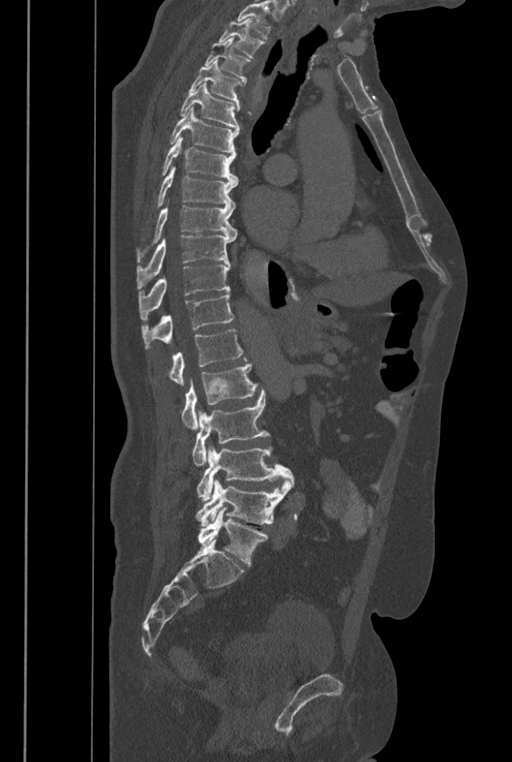 CT; sagittal view; bone-window reconstruction; 512x762 px
Boxes below are [x1, y1, x2, y2] in pixels.
A vertebra cut off by the top edge of the scan is not labeled and has no box.
In these labels the spine has an L6, a sixth lumbar vertebra below L5.
{"vertebrae":{"T2":[218,18,265,58],"T3":[204,37,250,85],"T4":[188,59,241,111],"T5":[179,82,239,130],"T6":[168,106,239,153],"T7":[162,135,238,183],"T8":[141,166,238,240],"T9":[137,206,237,262],"T10":[137,236,234,289],"T11":[139,264,230,319],"T12":[142,291,233,348],"L1":[170,329,246,385],"L2":[181,363,258,429],"L3":[193,390,269,466],"L4":[196,445,294,501],"L5":[196,479,292,526],"L6":[198,507,268,565]}}